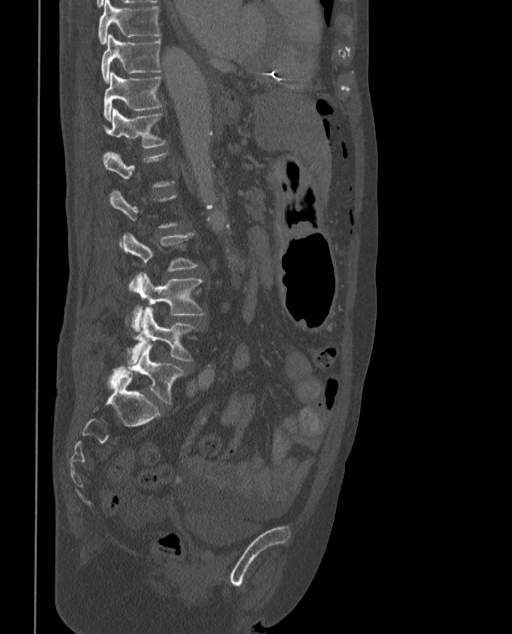
CT spine — sagittal view — 512x634 px
Bounding boxes as [x1, y1, x2, y2] in pixel coordinates.
Each vertebra is boxed only on the slices from the first to the last where its cross-section reaches a third of its largest, so a slice outside that range leaves it unboxed.
The labels name a sixth lumbar vertebra for this spine: L6, after L5.
Vertebra bounding boxes:
- T9: [97, 0, 161, 43]
- T10: [100, 35, 161, 82]
- T11: [103, 72, 162, 121]
- T12: [104, 109, 166, 148]
- L3: [121, 233, 198, 291]
- L4: [130, 273, 205, 333]
- L5: [127, 308, 198, 362]
- L6: [109, 346, 184, 404]